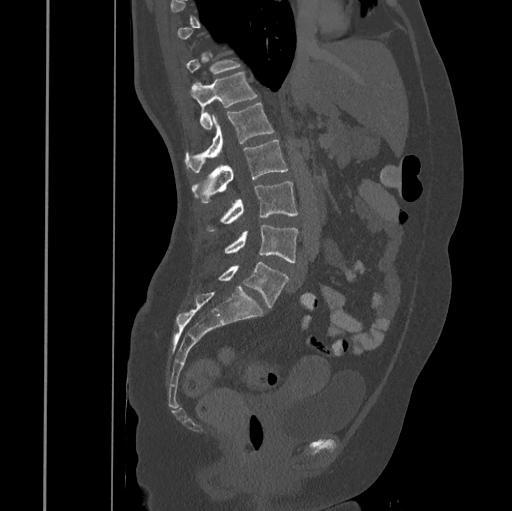

Spine computed tomography; sagittal view. Coordinates as <box>x1,y1,x2,y2</box>.
Each vertebra is boxed only on the slices from the first to the last where its cross-section reaches a third of its largest, so a slice outside that range leaves it unboxed.
T11: <box>186,53,241,74</box>
T12: <box>191,72,257,129</box>
L1: <box>185,104,274,171</box>
L2: <box>192,140,288,202</box>
L3: <box>208,181,298,230</box>
L4: <box>224,226,298,262</box>
L5: <box>219,262,288,308</box>